Spine CT; sagittal plane, index 295; Bone window (WL 400, WW 1800)
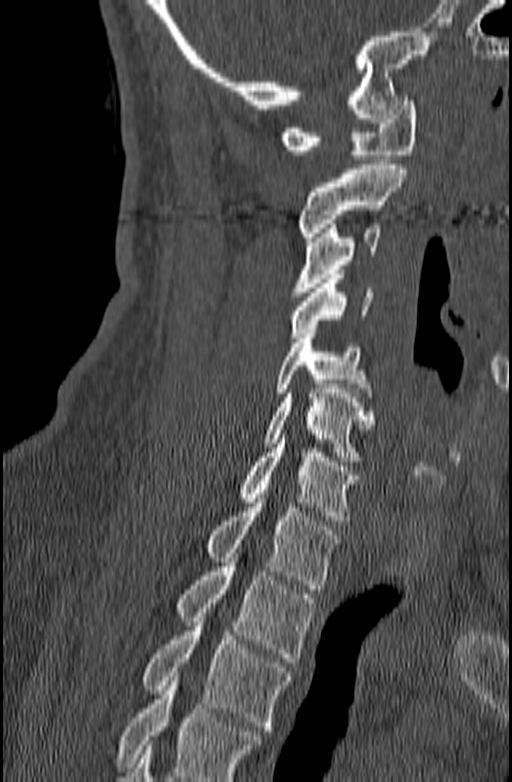 Coordinates as <box>x1,y1,x2,y2</box>.
Where the bottom of the scan cuts through a vertebra, that vertebra gets no label or box.
Vertebra bounding boxes:
- C1: <box>280,96,416,159</box>
- C2: <box>297,165,406,241</box>
- C3: <box>292,224,380,296</box>
- C4: <box>290,274,373,337</box>
- C5: <box>276,329,374,401</box>
- C6: <box>264,384,374,461</box>
- C7: <box>239,434,359,525</box>
- T1: <box>206,498,340,589</box>
- T2: <box>177,553,316,662</box>
- T3: <box>143,608,289,730</box>